Computed tomography of the spine — sagittal view — 369x669 px
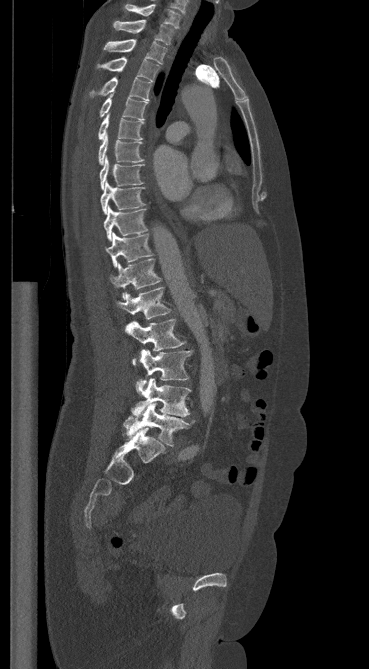

Each box given as x1,y1,x2,y2. 18 vertebrae labeled — C7 at x1=125, y1=4, x2=180, y2=28; T1 at x1=113, y1=20, x2=173, y2=44; T2 at x1=104, y1=39, x2=166, y2=64; T3 at x1=97, y1=57, x2=159, y2=81; T4 at x1=91, y1=77, x2=150, y2=100; T5 at x1=100, y1=94, x2=148, y2=120; T6 at x1=98, y1=114, x2=144, y2=140; T7 at x1=98, y1=134, x2=143, y2=164; T8 at x1=99, y1=156, x2=142, y2=189; T9 at x1=100, y1=180, x2=144, y2=214; T10 at x1=103, y1=206, x2=147, y2=240; T11 at x1=106, y1=232, x2=152, y2=267; T12 at x1=110, y1=258, x2=161, y2=298; L1 at x1=116, y1=287, x2=170, y2=319; L2 at x1=125, y1=319, x2=185, y2=364; L3 at x1=136, y1=349, x2=191, y2=392; L4 at x1=132, y1=378, x2=190, y2=417; L5 at x1=123, y1=403, x2=195, y2=446.